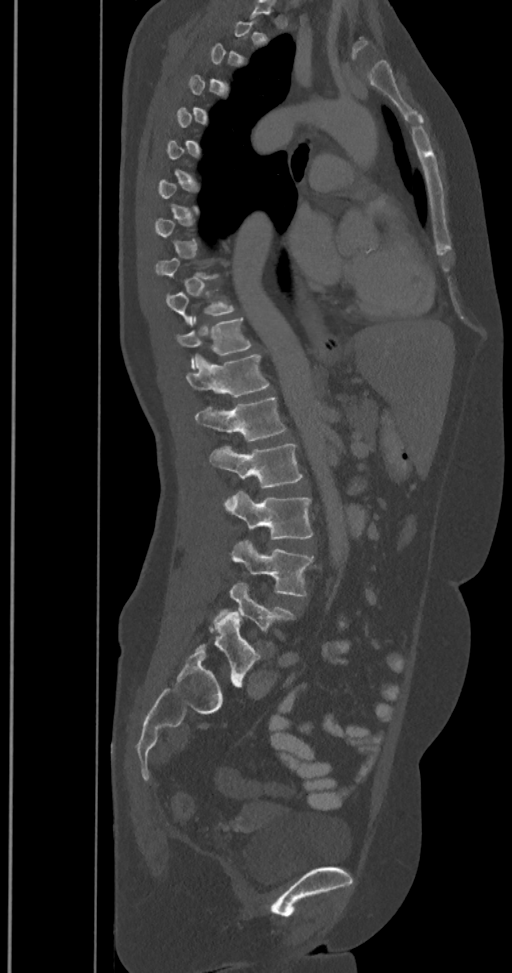
CT, spine. sagittal reformat. Bone window (WL 400, WW 1800)

Each box given as x1,y1,x2,y2. Each vertebra is boxed only on the slices from the first to the last where its cross-section reaches a third of its largest, so a slice outside that range leaves it unboxed. In these labels the spine has an L6, a sixth lumbar vertebra below L5. Vertebrae labeled: L6 at x1=196, y1=612, x2=261, y2=686, L5 at x1=212, y1=581, x2=296, y2=647, L4 at x1=232, y1=540, x2=313, y2=597, L3 at x1=225, y1=490, x2=313, y2=539, L2 at x1=210, y1=444, x2=303, y2=487, L1 at x1=196, y1=396, x2=287, y2=441, T12 at x1=186, y1=354, x2=269, y2=397, T11 at x1=177, y1=316, x2=252, y2=368, T10 at x1=167, y1=288, x2=236, y2=326.